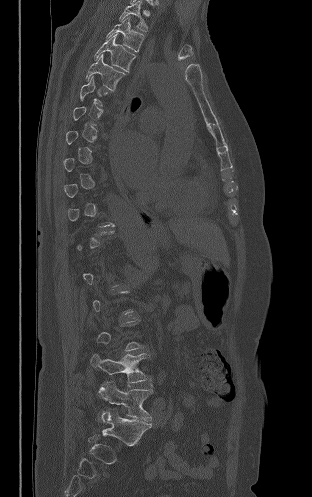

Computed tomography of the spine. sagittal view
Box edges are left/top/right/bottom in pixels.
A vertebra is boxed only from the first to the last slice where its cross-section is at least a third of its largest; slices outside that range leave it without a box.
| vertebra | x1 | y1 | x2 | y2 |
|---|---|---|---|---|
| T2 | 119 | 1 | 147 | 31 |
| T3 | 106 | 16 | 144 | 52 |
| T4 | 94 | 33 | 135 | 71 |
| T5 | 86 | 54 | 125 | 90 |
| L4 | 90 | 353 | 148 | 382 |
| L5 | 98 | 381 | 153 | 424 |